Computed tomography of the spine — sagittal view — 210 mm across the image — W/L 1800/400 HU — 210x183 px — an area of the scan was removed and filled with constant pixels
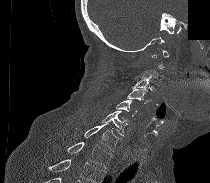
Each row gives a vertebra's box as x1, y1, x2, y2 in pixels: top-left corner, then bottom-right corner.
Not every vertebra on this slice has a box: a vertebra is boxed only from the first to the last slice where its cross-section is at least a third of its largest, and this slice is outside that range for at least one of them.
Where the bottom of the scan cuts through a vertebra, that vertebra gets no label or box.
| vertebra | x1 | y1 | x2 | y2 |
|---|---|---|---|---|
| C3 | 132 | 73 | 155 | 91 |
| C4 | 127 | 88 | 151 | 103 |
| C5 | 116 | 100 | 137 | 116 |
| C6 | 101 | 110 | 128 | 136 |
| C7 | 84 | 122 | 118 | 151 |
| T1 | 66 | 142 | 111 | 168 |